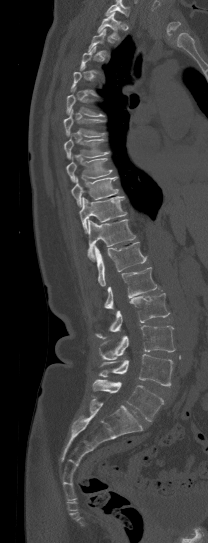

CT spine — sagittal view — bone window — the image spans 208 mm across
Boxes: x1 y1 x2 y2 (pixel coords, space-separated). Each vertebra is boxed only on the slices from the first to the last where its cross-section reaches a third of its largest, so a slice outside that range leaves it unboxed. No box is given to a vertebra that the top edge of the scan cuts off. 14 vertebrae labeled — L5 at 92 379 163 421; L4 at 98 354 173 387; L3 at 99 325 174 359; L2 at 96 293 169 339; L1 at 104 267 157 308; T12 at 94 242 147 286; T11 at 87 219 135 261; T10 at 79 196 126 233; T9 at 71 176 118 206; T8 at 66 154 111 181; T7 at 64 135 109 159; T6 at 63 109 104 137; T5 at 66 87 104 116; T1 at 97 11 119 39.